CT spine · 350 mm image width · Sagittal slice 255/512 · W/L 1800/400 HU
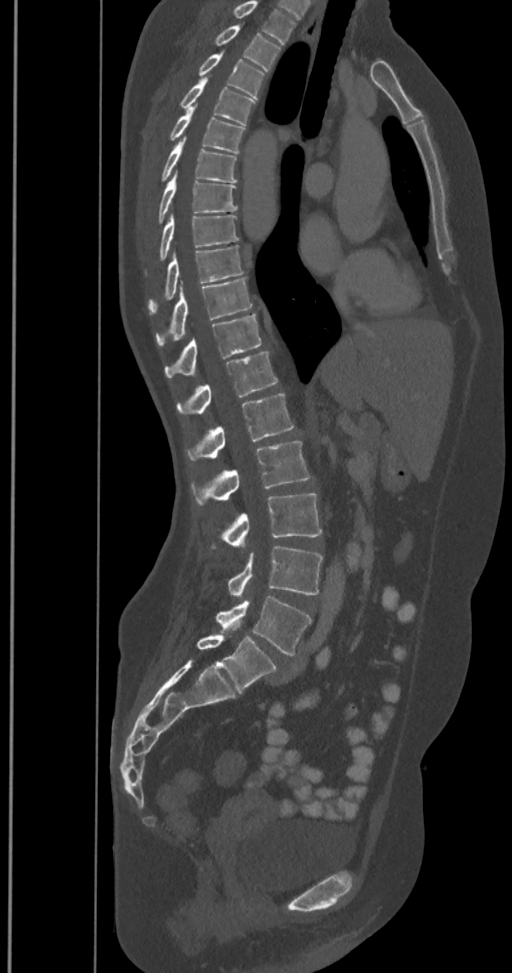
Bounding boxes as [x1, y1, x2, y2] in pixel coordinates.
The highest labeled vertebra in this scan is T2; the lowest is L6.
These labels give the spine a sixth lumbar vertebra, L6, below L5.
T2: [215, 25, 280, 71]
T3: [199, 51, 264, 99]
T4: [180, 75, 255, 125]
T5: [169, 104, 245, 153]
T6: [161, 137, 236, 182]
T7: [158, 170, 237, 222]
T8: [159, 213, 239, 260]
T9: [148, 245, 243, 314]
T10: [155, 278, 252, 347]
T11: [165, 313, 261, 377]
T12: [177, 352, 277, 414]
L1: [187, 394, 294, 460]
L2: [191, 441, 310, 506]
L3: [224, 494, 322, 548]
L4: [228, 546, 322, 599]
L5: [216, 595, 312, 655]
L6: [197, 635, 275, 693]